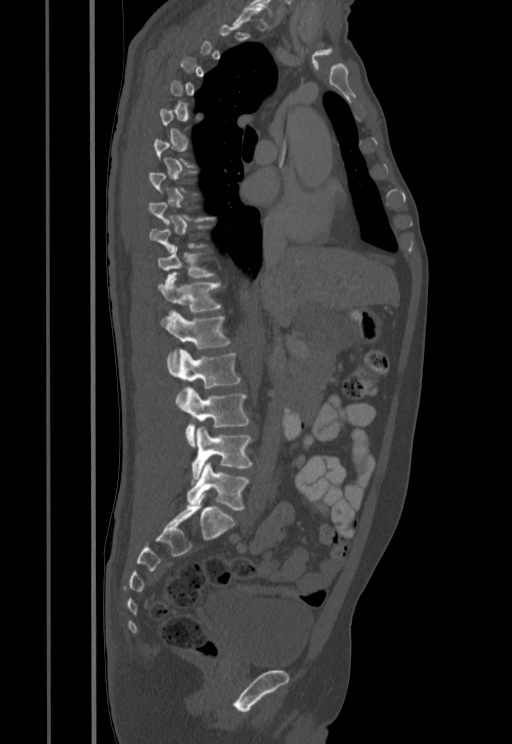
CT · sagittal view · bone-window reconstruction

Boxes: x1:y1:x2:y2 in pixels.
Each vertebra is boxed only on the slices from the first to the last where its cross-section reaches a third of its largest, so a slice outside that range leaves it unboxed.
Vertebra bounding boxes:
- T11: 157:246:214:282
- T12: 157:276:221:313
- L1: 161:311:230:370
- L2: 167:349:241:408
- L3: 182:387:249:446
- L4: 191:426:252:481
- L5: 187:463:249:510